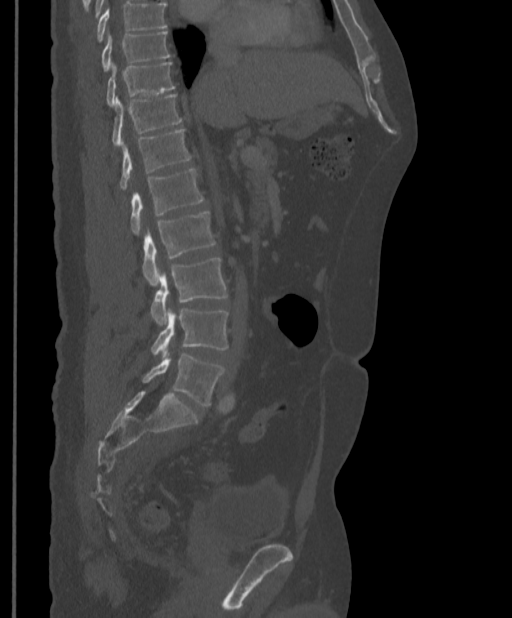

CT spine. sagittal view. 397 mm wide. Bone window (WL 400, WW 1800). 512x618 px. Coordinates as <box>x1,y1,x2,y2</box>.
Where the top of the scan cuts through a vertebra, that vertebra gets no label or box.
T9: <box>102,31,169,71</box>
T10: <box>107,62,174,106</box>
T11: <box>112,94,182,146</box>
T12: <box>120,129,191,190</box>
L1: <box>130,168,204,235</box>
L2: <box>142,212,216,285</box>
L3: <box>151,258,227,325</box>
L4: <box>151,308,228,358</box>
L5: <box>142,352,225,405</box>